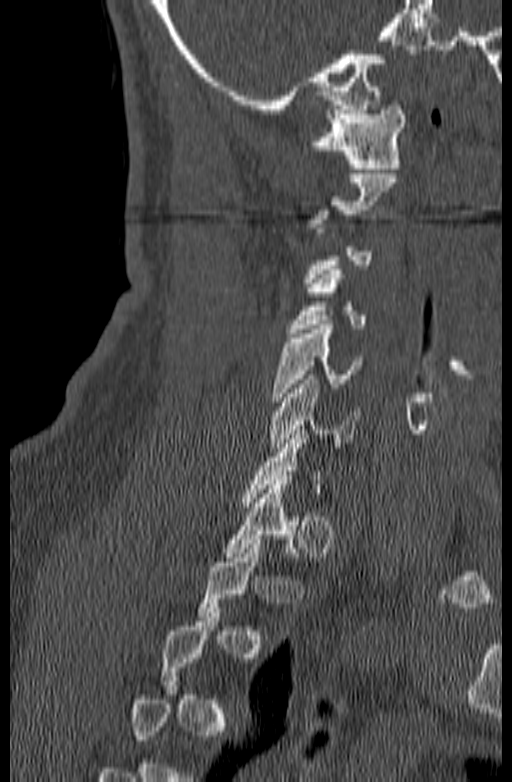
Spine computed tomography — sagittal view — 512x782 px
A vertebra gets a box only on the slices from the first to the last where its cross-section is at least a third of its largest; on a slice outside that range it gets none.
<vertebrae><v name="T1" x1="221" y1="480" x2="300" y2="557"/><v name="C6" x1="268" y1="375" x2="359" y2="452"/><v name="C5" x1="272" y1="325" x2="362" y2="401"/><v name="C4" x1="287" y1="265" x2="366" y2="333"/><v name="C1" x1="308" y1="105" x2="405" y2="168"/></vertebrae>